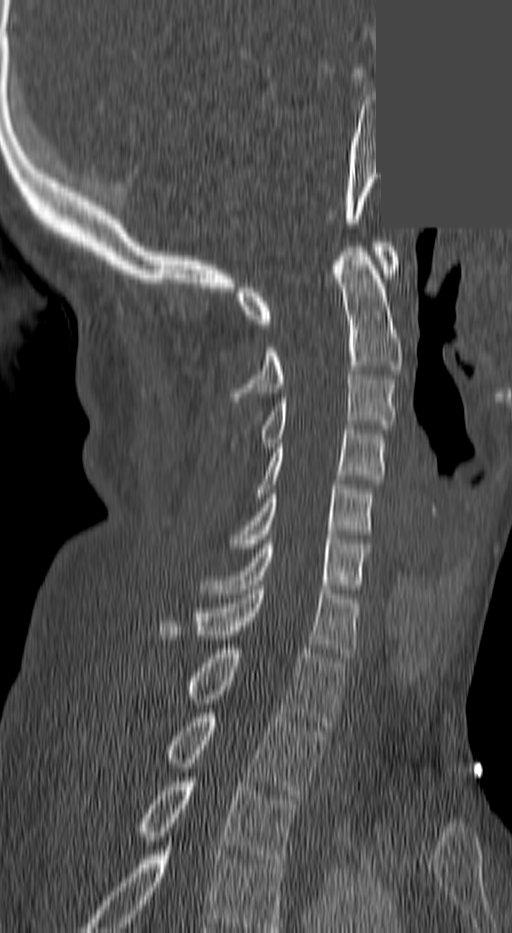

CT spine. sagittal reformat. 140 mm image width. a portion of the image is blanked out (constant pixel value)
Each box given as x1,y1,x2,y2.
The highest labeled vertebra in this scan is C1; the lowest is T3.
| vertebra | x1 | y1 | x2 | y2 |
|---|---|---|---|---|
| C1 | 235 | 242 | 399 | 328 |
| C2 | 232 | 247 | 399 | 401 |
| C3 | 261 | 375 | 395 | 447 |
| C4 | 257 | 430 | 384 | 497 |
| C5 | 232 | 480 | 373 | 552 |
| C6 | 202 | 539 | 370 | 593 |
| C7 | 159 | 585 | 355 | 657 |
| T1 | 184 | 649 | 344 | 730 |
| T2 | 162 | 713 | 323 | 799 |
| T3 | 133 | 777 | 300 | 863 |